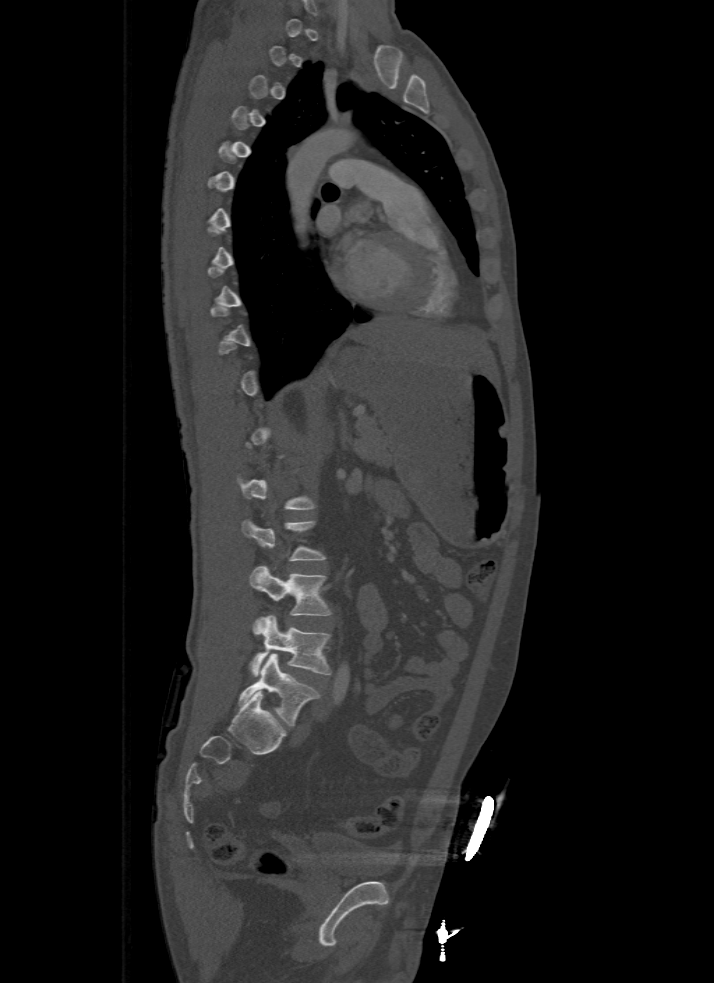 CT spine · sagittal view · bone-window reconstruction
Each vertebra maps to its box as [x1, y1, x2, y2], the pixel coordinates of its top-left and bottom-right corners.
A vertebra is boxed only from the first to the last slice where its cross-section is at least a third of its largest; slices outside that range leave it without a box.
{"vertebrae":{"L5":[239,653,318,725],"L4":[251,615,331,675],"L3":[250,566,332,629],"L2":[241,519,325,561]}}